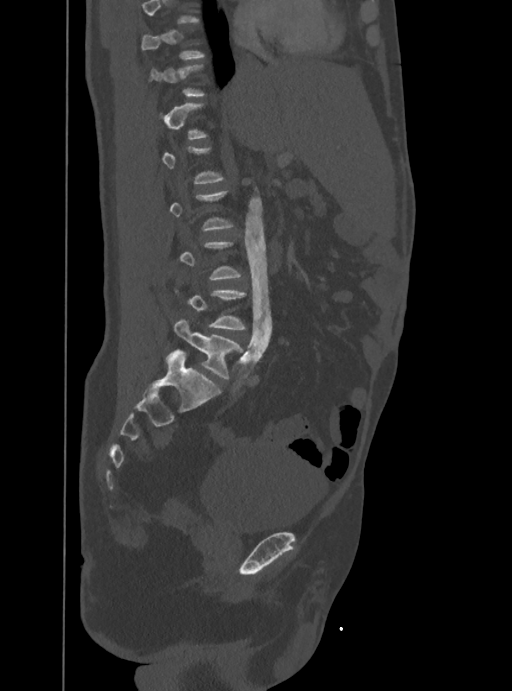
CT spine — sagittal view — the image is 388 mm wide — Bone window (WL 400, WW 1800)
Boxes are (x1, y1, x2, y2) in pixels.
Each vertebra is boxed only on the slices from the first to the last where its cross-section reaches a third of its largest, so a slice outside that range leaves it unboxed.
Vertebra bounding boxes:
- L5: (173, 318, 243, 379)
- L4: (174, 287, 246, 329)